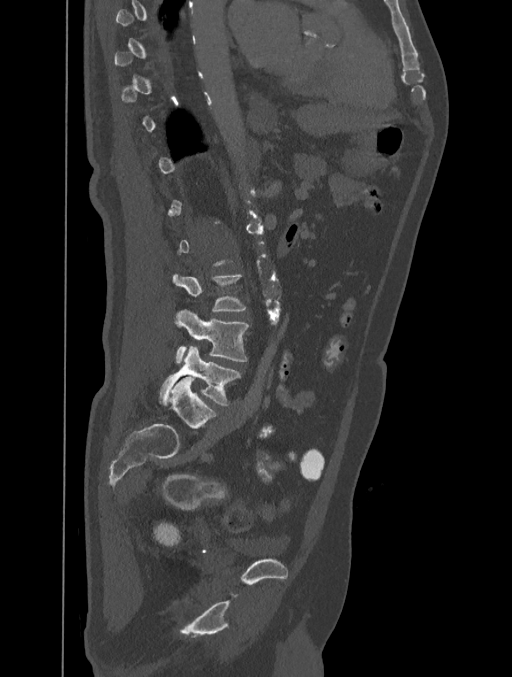

CT spine. sagittal view. 512x677 px
Not every vertebra on this slice has a box: a vertebra is boxed only from the first to the last slice where its cross-section is at least a third of its largest, and this slice is outside that range for at least one of them.
<vertebrae><v name="L5" x1="159" y1="346" x2="240" y2="405"/><v name="L4" x1="175" y1="309" x2="248" y2="363"/><v name="L3" x1="172" y1="275" x2="245" y2="310"/></vertebrae>